CT — sagittal view
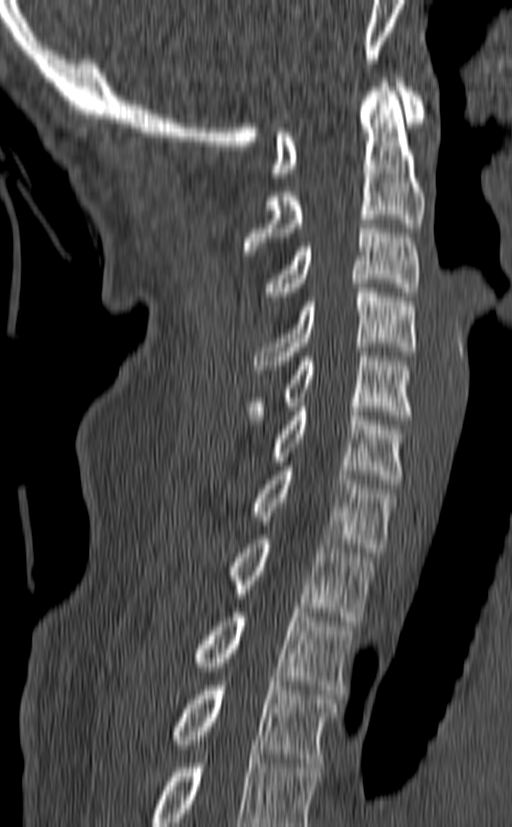

Each vertebra maps to its box as [x1, y1, x2, y2], the pixel coordinates of its top-left and bottom-right corners.
In this scan, the topmost labeled vertebra is C1 and the lowest is T3.
{"vertebrae":{"C1":[271,78,425,177],"C2":[243,78,425,255],"C3":[264,219,419,296],"C4":[254,283,417,369],"C5":[245,347,414,424],"C6":[270,402,406,484],"C7":[250,466,395,552],"T1":[228,535,373,621],"T2":[192,608,355,694],"T3":[170,686,337,767]}}